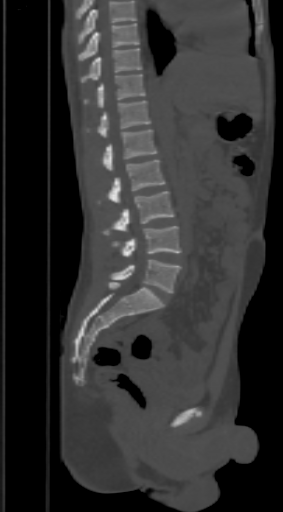
Computed tomography of the spine · the image spans 303 mm across · sagittal view · bone window
Boxes are (x1, y1, x2, y2) in pixels.
No box is given to a vertebra that the top edge of the scan cuts off.
L5: (109, 259, 181, 293)
L4: (112, 226, 181, 257)
L3: (104, 191, 175, 236)
L2: (98, 159, 164, 203)
L1: (101, 129, 156, 170)
T12: (87, 101, 150, 137)
T11: (84, 74, 145, 108)
T10: (81, 48, 142, 83)
T9: (78, 23, 139, 61)